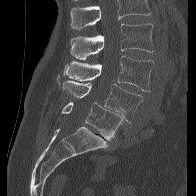
Spine computed tomography. sagittal view. image 196 mm wide. bone window. 196x196 px. Each box given as x1,y1,x2,y2.
Where the top of the scan cuts through a vertebra, that vertebra gets no label or box.
L2: x1=70, y1=23, x2=154, y2=60
L3: x1=57, y1=55, x2=153, y2=91
L4: x1=63, y1=81, x2=143, y2=122
L5: x1=61, y1=102, x2=123, y2=140